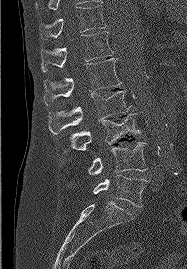

Spine CT · sagittal view · bone window. Boxes are given in columns x1, y1, x2, y2, the pixel coordinates of their top-left and bottom-right corners.
| vertebra | x1 | y1 | x2 | y2 |
|---|---|---|---|---|
| L5 | 93 | 175 | 147 | 207 |
| L4 | 88 | 142 | 146 | 174 |
| L3 | 64 | 113 | 139 | 153 |
| L2 | 48 | 90 | 132 | 135 |
| L1 | 44 | 58 | 121 | 105 |
| T12 | 41 | 31 | 113 | 71 |
| T11 | 40 | 5 | 106 | 39 |